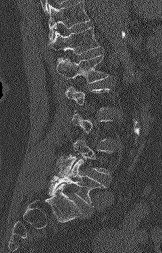

Spine computed tomography — sagittal reformat
Each box given as x1,y1,x2,y2.
Each vertebra is boxed only on the slices from the first to the last where its cross-section reaches a third of its largest, so a slice outside that range leaves it unboxed.
Vertebrae that run past the top of the scan are left unlabeled.
T12: x1=48, y1=27, x2=100, y2=54
L1: x1=56, y1=55, x2=108, y2=83
L4: x1=57, y1=140, x2=111, y2=176
L5: x1=49, y1=156, x2=104, y2=206